CT spine; Sagittal slice 219/512; 140 mm wide; bone window
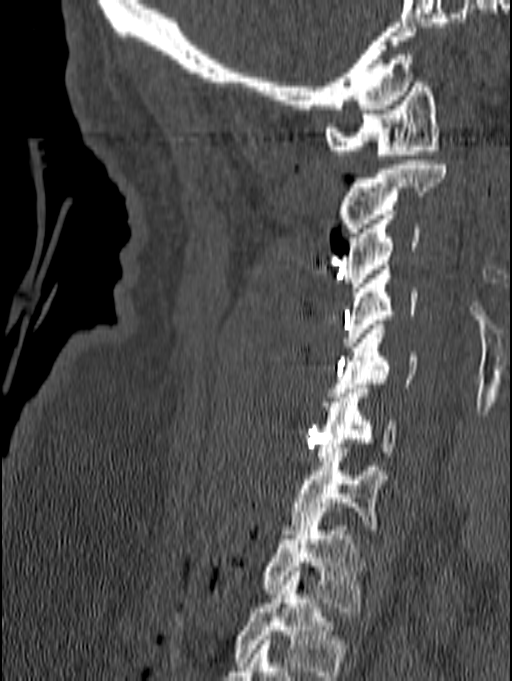

The highest labeled vertebra in this scan is C1; the lowest is T1.
<vertebrae><v name="C1" x1="325" y1="78" x2="440" y2="159"/><v name="C2" x1="338" y1="160" x2="446" y2="237"/><v name="C3" x1="343" y1="210" x2="419" y2="292"/><v name="C4" x1="342" y1="265" x2="417" y2="346"/><v name="C5" x1="329" y1="325" x2="418" y2="397"/><v name="C6" x1="316" y1="384" x2="395" y2="461"/><v name="C7" x1="282" y1="448" x2="388" y2="534"/><v name="T1" x1="261" y1="517" x2="364" y2="612"/></vertebrae>